Spine CT; sagittal plane, index 194; bone-window reconstruction; 10 vertebrae labeled in this scan
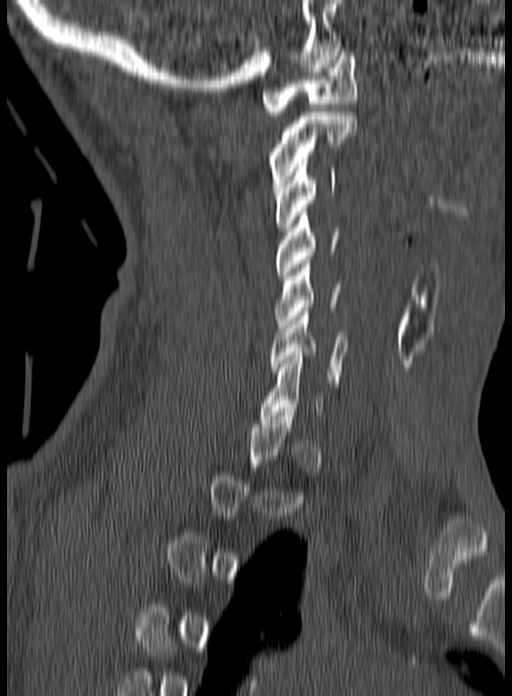
Box edges are left/top/right/bottom in pixels.
A vertebra is boxed only from the first to the last slice where its cross-section is at least a third of its largest; slices outside that range leave it without a box.
| vertebra | x1 | y1 | x2 | y2 |
|---|---|---|---|---|
| C1 | 261 | 48 | 357 | 115 |
| C2 | 270 | 112 | 357 | 187 |
| C3 | 273 | 160 | 336 | 231 |
| C4 | 276 | 208 | 338 | 279 |
| C5 | 275 | 260 | 339 | 331 |
| C6 | 269 | 308 | 347 | 383 |